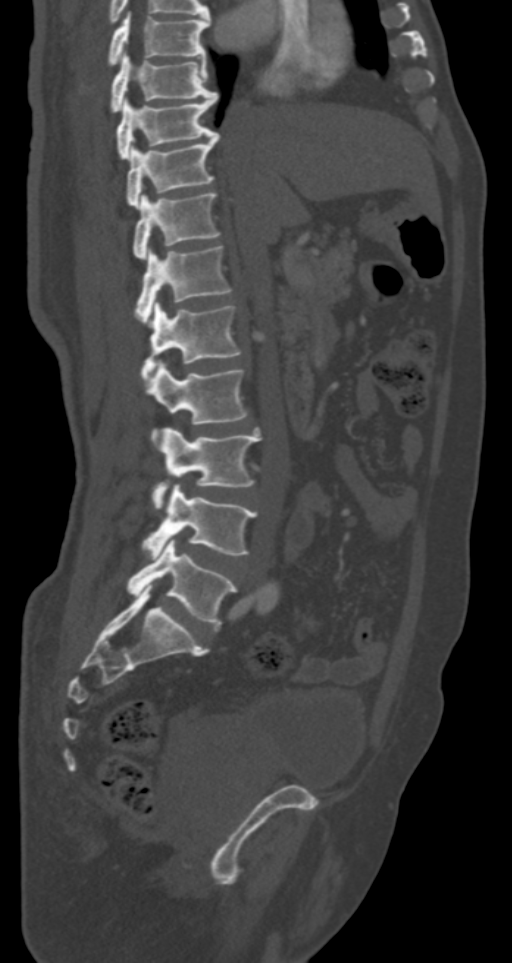

Spine CT — sagittal reformat — 512x963 px
Each box given as x1,y1,x2,y2. Vertebrae labeled: L5 at x1=126, y1=538, x2=236, y2=625, L4 at x1=142, y1=483, x2=257, y2=558, L3 at x1=151, y1=428, x2=261, y2=509, L2 at x1=146, y1=362, x2=247, y2=441, L1 at x1=141, y1=301, x2=241, y2=382, T12 at x1=135, y1=246, x2=232, y2=324, T11 at x1=133, y1=192, x2=220, y2=259, T10 at x1=126, y1=134, x2=220, y2=208, T9 at x1=116, y1=94, x2=216, y2=159, T8 at x1=110, y1=54, x2=218, y2=113, T7 at x1=108, y1=12, x2=209, y2=65.